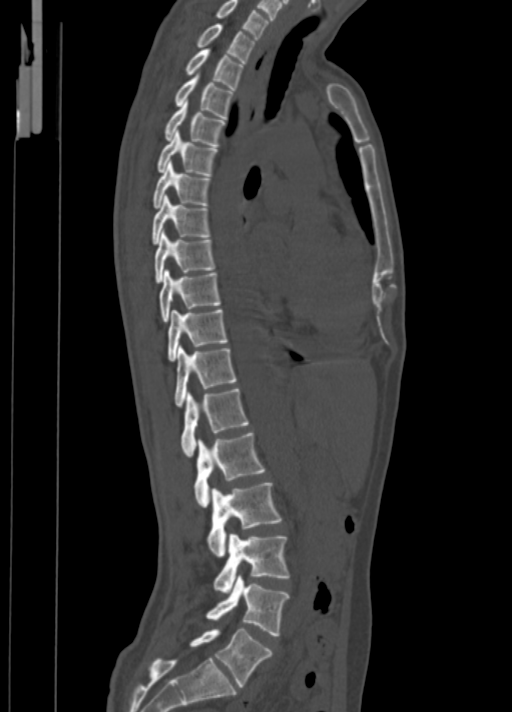

Spine CT. sagittal view. 350 mm image width

Boxes: x1 y1 x2 y2 (pixel coords, space-separated).
C7: 216 0 269 38
T1: 197 23 255 63
T2: 186 48 243 90
T3: 175 73 233 119
T4: 165 101 224 147
T5: 158 130 217 175
T6: 153 161 209 208
T7: 152 195 208 245
T8: 155 230 214 283
T9: 159 269 220 322
T10: 168 309 227 360
T11: 174 345 236 407
T12: 181 389 247 457
L1: 194 433 265 507
L2: 207 483 281 556
L3: 213 532 288 593
L4: 206 575 288 635
L5: 190 629 272 687